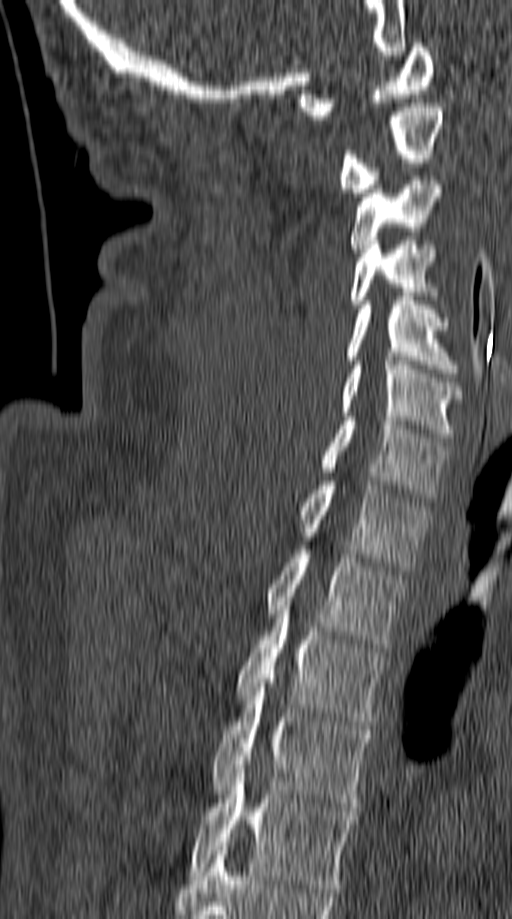
Spine computed tomography — sagittal view — the image spans 149 mm across

<vertebrae><v name="C1" x1="297" y1="43" x2="435" y2="119"/><v name="C2" x1="338" y1="103" x2="443" y2="192"/><v name="C3" x1="350" y1="176" x2="442" y2="252"/><v name="C4" x1="350" y1="241" x2="437" y2="304"/><v name="C5" x1="347" y1="296" x2="457" y2="373"/><v name="C6" x1="341" y1="361" x2="464" y2="437"/><v name="C7" x1="321" y1="417" x2="447" y2="502"/><v name="T1" x1="298" y1="481" x2="430" y2="570"/><v name="T2" x1="266" y1="550" x2="406" y2="648"/><v name="T3" x1="238" y1="597" x2="385" y2="725"/><v name="T4" x1="211" y1="683" x2="371" y2="807"/><v name="T5" x1="187" y1="769" x2="356" y2="892"/></vertebrae>